CT spine — image 477 mm wide — sagittal reformat
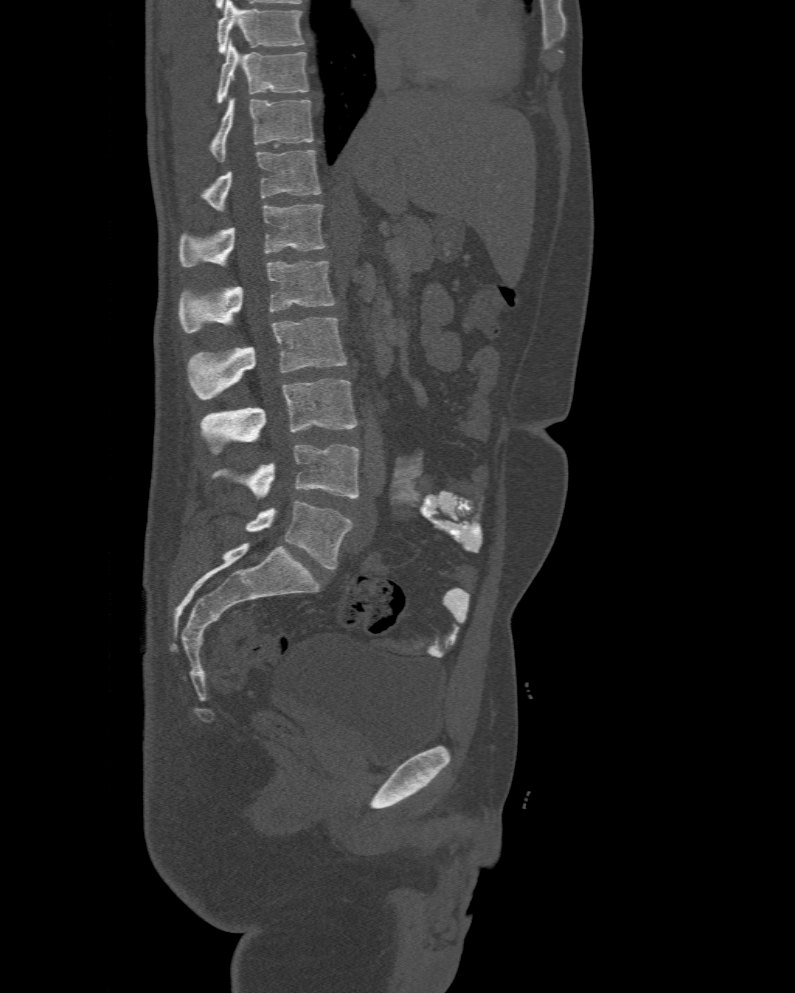
Each vertebra maps to its box as [x1, y1, x2, y2], the pixel coordinates of its top-left and bottom-right corners.
This scan's labels start at T10 at the top and end at L6 at the bottom.
The labels name a sixth lumbar vertebra for this spine: L6, after L5.
{"vertebrae":{"L6":[247,500,353,569],"L5":[214,445,359,499],"L4":[200,378,358,442],"L3":[186,317,345,399],"L2":[179,260,336,332],"L1":[179,203,325,267],"T12":[183,150,320,211],"T11":[208,98,313,161],"T10":[214,42,310,104]}}